Spine CT · sagittal plane, index 274 · bone window · 512x1029 px · scan covers 11 annotated vertebrae
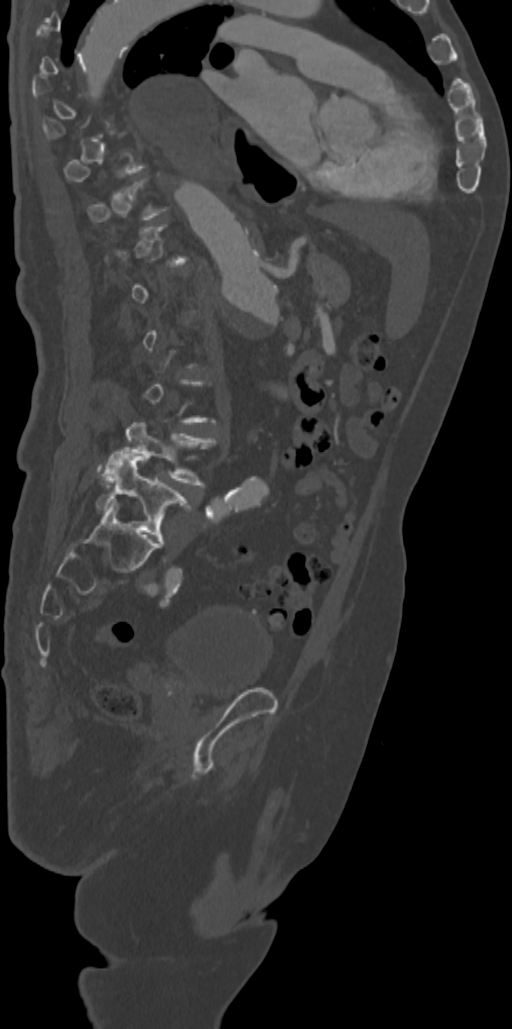

Bounding boxes as [x1, y1, x2, y2] in pixel coordinates.
A vertebra is boxed only from the first to the last slice where its cross-section is at least a third of its largest; slices outside that range leave it without a box.
L4: [103, 422, 216, 484]
L5: [97, 449, 190, 545]